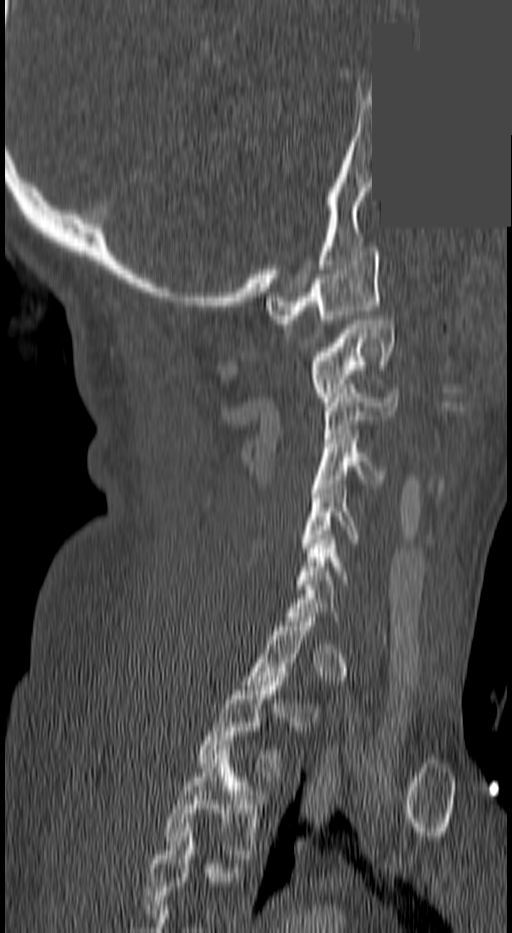 CT, spine; sagittal reformat; Bone window (WL 400, WW 1800); a portion of the image is blanked out (constant pixel value)

Boxes: x1 y1 x2 y2 (pixel coords, space-separated).
A vertebra gets a box only on the slices from the first to the last where its cross-section is at least a third of its largest; on a slice outside that range it gets none.
In this scan, the topmost labeled vertebra is C1 and the lowest is T3.
C1: 265 247 381 324
C2: 307 320 392 401
C3: 323 389 399 438
C4: 312 434 384 488
C5: 298 485 359 552
C6: 298 535 348 589
T2: 195 677 284 781
T3: 162 745 264 858